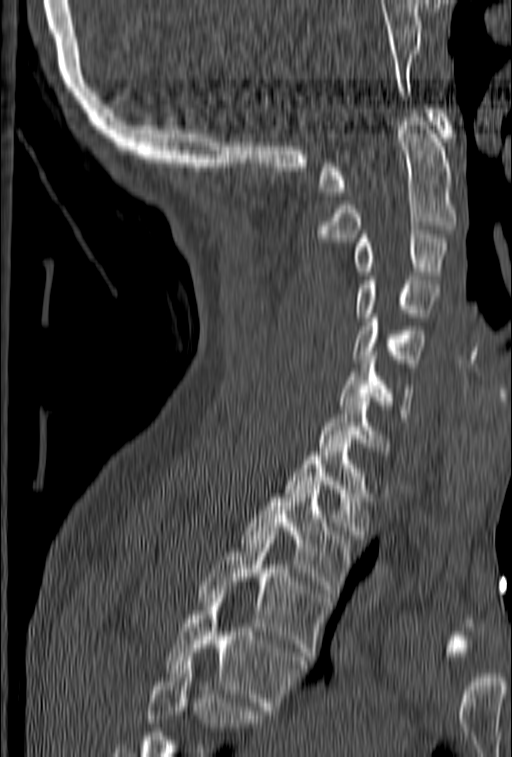
CT, spine. sagittal view. bone-window reconstruction
Each box given as x1,y1,x2,y2.
Vertebrae that run past the bottom of the scan are left unlabeled.
Vertebra bounding boxes:
- T4: x1=164, y1=590, x2=305, y2=710
- T3: x1=197, y1=531, x2=331, y2=660
- T2: x1=241, y1=485, x2=353, y2=597
- T1: x1=285, y1=443, x2=371, y2=539
- C7: x1=319, y1=393, x2=392, y2=459
- C6: x1=339, y1=356, x2=414, y2=417
- C5: x1=352, y1=310, x2=425, y2=367
- C4: x1=356, y1=276, x2=439, y2=317
- C3: x1=353, y1=230, x2=449, y2=275
- C2: x1=312, y1=109, x2=457, y2=242
- C1: x1=319, y1=105, x2=456, y2=196